Spine CT · sagittal view · image width 398 mm · 512x513 px
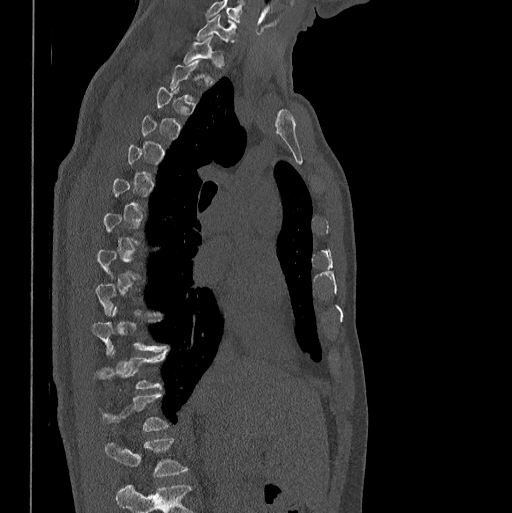
Each box given as x1,y1,x2,y2.
A vertebra is boxed only from the first to the last slice where its cross-section is at least a third of its largest; slices outside that range leave it without a box.
Labels in this scan begin with C7 at the top and end with L1 at the bottom.
| vertebra | x1 | y1 | x2 | y2 |
|---|---|---|---|---|
| C7 | 197 | 15 | 236 | 40 |
| T1 | 184 | 37 | 223 | 66 |
| L1 | 105 | 439 | 187 | 476 |